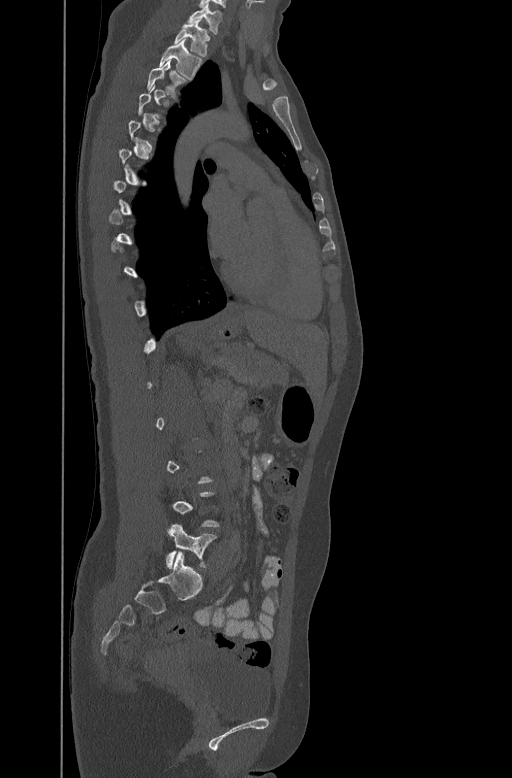

Computed tomography of the spine · sagittal reformat · bone window

Boxes: x1:y1:x2:y2 in pixels.
Not every vertebra on this slice has a box: a vertebra is boxed only from the first to the last slice where its cross-section is at least a third of its largest, and this slice is outside that range for at least one of them.
L5: 166:524:215:568
T3: 147:60:185:93
T2: 158:38:201:77
T1: 174:23:209:55
C7: 188:5:221:31